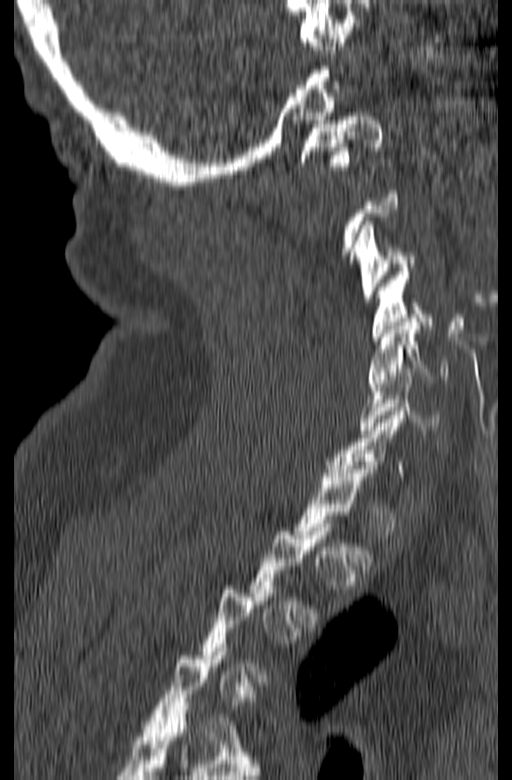

CT spine · 165 mm across the image · sagittal view · Bone window (WL 400, WW 1800) · 512x780 px
Not every vertebra on this slice has a box: a vertebra is boxed only from the first to the last slice where its cross-section is at least a third of its largest, and this slice is outside that range for at least one of them.
<vertebrae><v name="C1" x1="300" y1="112" x2="383" y2="174"/><v name="C3" x1="351" y1="221" x2="413" y2="302"/><v name="C4" x1="373" y1="268" x2="433" y2="340"/><v name="C5" x1="367" y1="318" x2="447" y2="387"/><v name="C6" x1="359" y1="368" x2="439" y2="433"/></vertebrae>